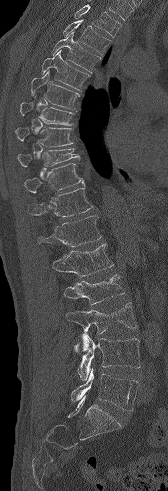
Spine computed tomography · sagittal view · bone window. Boxes are (x1, y1, x2, y2) in pixels.
No box is given to a vertebra that the top edge of the scan cuts off.
Vertebra bounding boxes:
- L5: (71, 367, 139, 410)
- L4: (77, 333, 140, 380)
- L3: (65, 302, 137, 352)
- L2: (63, 274, 124, 304)
- L1: (52, 243, 113, 277)
- T12: (37, 215, 101, 247)
- T11: (28, 188, 93, 217)
- T10: (24, 163, 84, 193)
- T9: (17, 148, 79, 166)
- T8: (15, 127, 73, 146)
- T7: (20, 102, 73, 125)
- T6: (31, 70, 79, 109)
- T5: (41, 50, 89, 90)
- T4: (51, 32, 101, 72)
- T3: (62, 19, 110, 55)